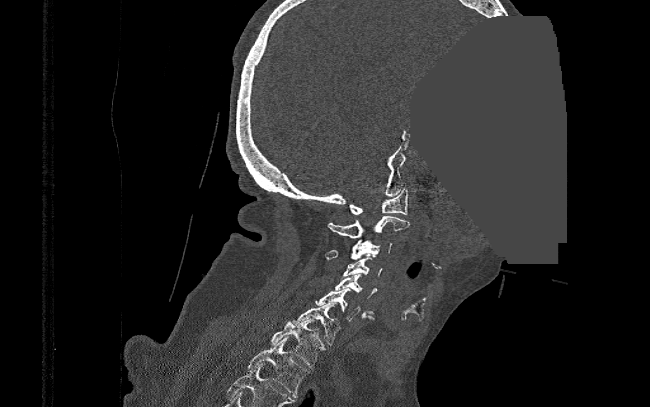
Spine CT — sagittal view — 390 mm across the image — 650x407 px — an area of the scan was removed and filled with constant pixels
Box edges are left/top/right/bottom in pixels.
C1: left=348, top=188, right=408, bottom=214
C2: left=328, top=216, right=409, bottom=241
C3: left=325, top=240, right=391, bottom=260
C4: left=343, top=257, right=382, bottom=276
C5: left=334, top=273, right=376, bottom=314
C6: left=315, top=288, right=374, bottom=321
C7: left=292, top=302, right=341, bottom=345
T1: left=270, top=319, right=325, bottom=367
T2: left=248, top=337, right=308, bottom=397